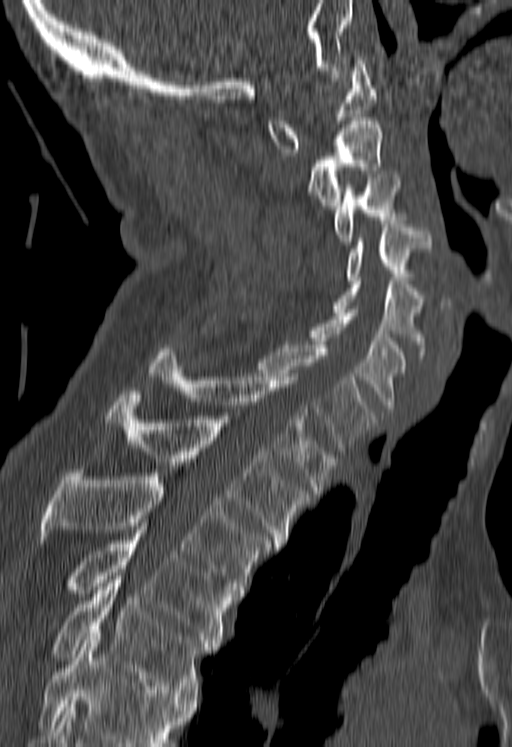
Spine computed tomography · sagittal view · the image is 180 mm wide · bone-window reconstruction
Boxes below are [x1, y1, x2, y2] in pixels.
Vertebrae that run past the bottom of the scan are left unlabeled.
{"vertebrae":{"C1":[267,57,375,152],"C2":[308,117,381,212],"C3":[334,174,402,244],"C4":[345,220,430,280],"C5":[334,277,424,355],"C6":[308,309,407,411],"C7":[260,345,373,454],"T1":[149,348,336,493],"T2":[106,391,310,547],"T3":[40,473,270,596],"T4":[66,530,230,650],"T5":[49,576,213,699]}}